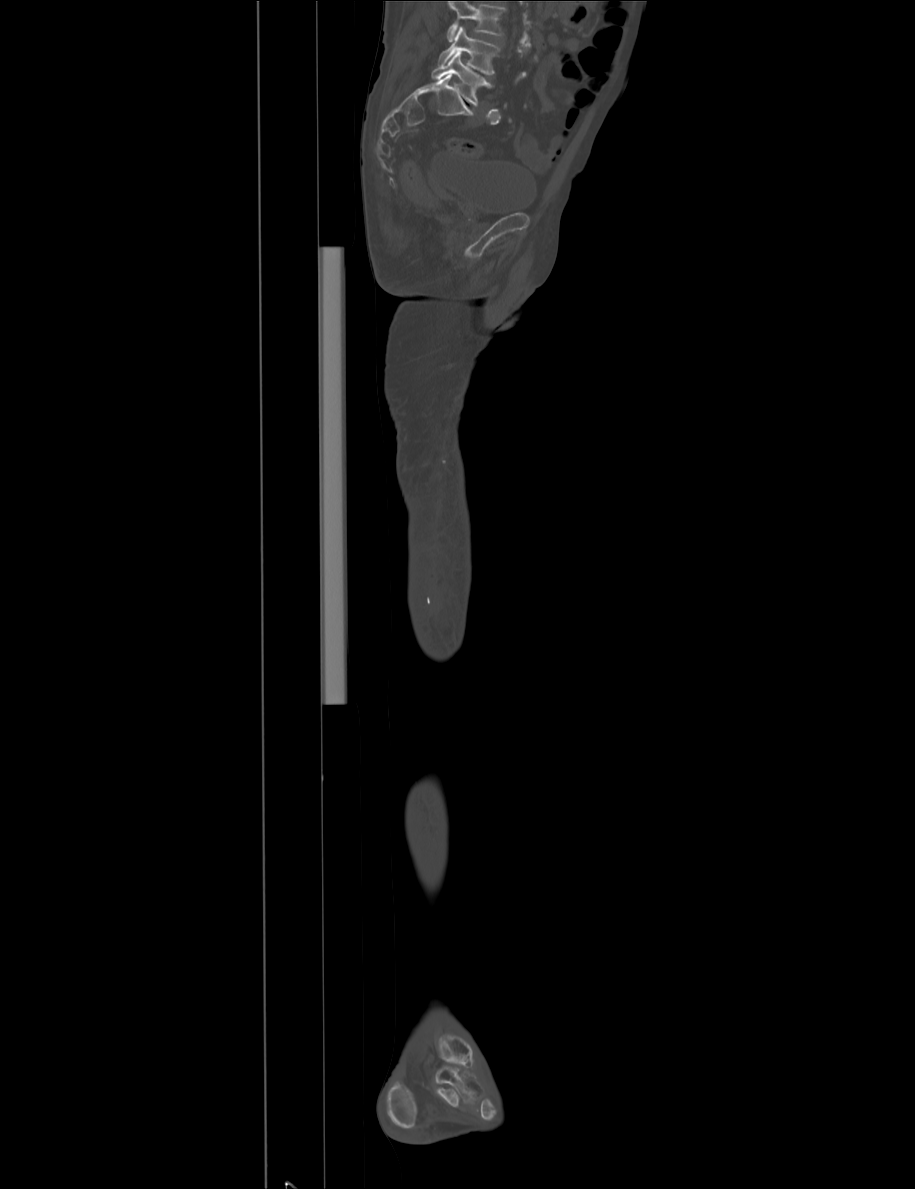 CT — sagittal view — the image is 915 mm wide — bone-window reconstruction
Box edges are left/top/right/bottom in pixels.
A vertebra cut off by the top edge of the scan is not labeled and has no box.
| vertebra | x1 | y1 | x2 | y2 |
|---|---|---|---|---|
| L4 | 438 | 26 | 499 | 74 |
| L5 | 431 | 52 | 493 | 105 |